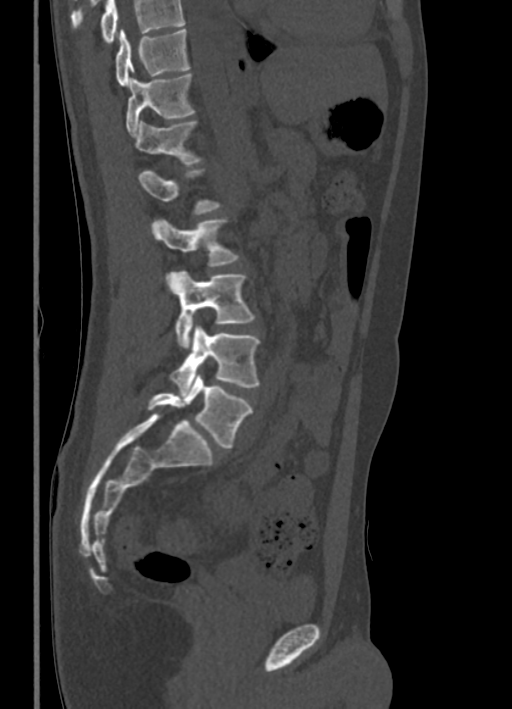
CT, spine — sagittal view — bone window — 512x709 px
Boxes below are [x1, y1, x2, y2] in pixels.
Vertebrae that run past the top of the scan are left unlabeled.
{"vertebrae":{"L5":[148,374,252,449],"L4":[170,324,259,395],"L3":[166,271,255,348],"L2":[150,220,238,266],"L1":[138,170,220,214],"T12":[132,121,200,165],"T11":[126,73,194,134],"T10":[116,29,189,87]}}